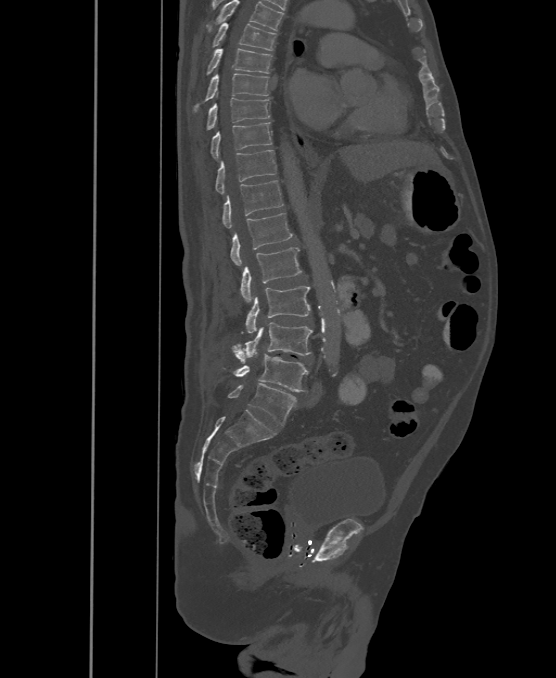

CT spine — sagittal view — W/L 1800/400 HU — 556x678 px
This scan's labels start at T6 at the top and end at L6 at the bottom.
The labels name a sixth lumbar vertebra for this spine: L6, after L5.
<vertebrae><v name="T6" x1="214" y1="23" x2="276" y2="50"/><v name="T7" x1="206" y1="48" x2="271" y2="74"/><v name="T8" x1="194" y1="73" x2="268" y2="110"/><v name="T9" x1="206" y1="98" x2="270" y2="129"/><v name="T10" x1="212" y1="123" x2="271" y2="158"/><v name="T11" x1="216" y1="150" x2="276" y2="194"/><v name="T12" x1="222" y1="180" x2="283" y2="227"/><v name="L1" x1="230" y1="213" x2="292" y2="266"/><v name="L2" x1="240" y1="248" x2="302" y2="303"/><v name="L3" x1="245" y1="286" x2="310" y2="333"/><v name="L4" x1="232" y1="323" x2="313" y2="358"/><v name="L5" x1="232" y1="350" x2="308" y2="392"/><v name="L6" x1="228" y1="383" x2="295" y2="425"/></vertebrae>